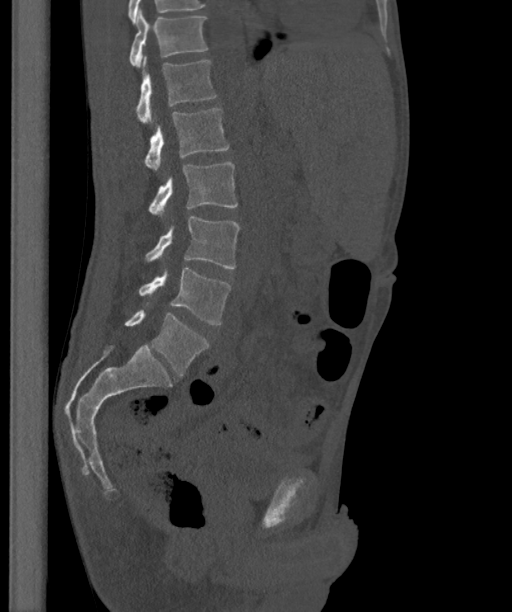
CT spine — sagittal view — bone window
Each vertebra maps to its box as [x1, y1, x2, y2], the pixel coordinates of its top-left and bottom-right corners.
The labels name a sixth lumbar vertebra for this spine: L6, after L5.
{"vertebrae":{"T12":[129,9,208,68],"L1":[136,56,216,123],"L2":[145,108,229,172],"L3":[149,162,237,217],"L4":[144,216,239,268],"L5":[139,268,230,324],"L6":[124,310,209,375]}}